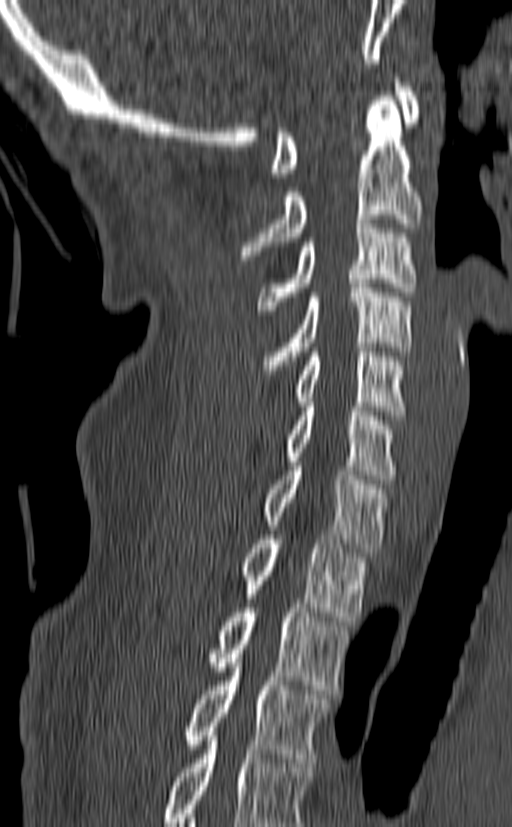
CT spine; image 140 mm wide; sagittal view
Labels in this scan begin with C1 at the top and end with T3 at the bottom.
<vertebrae><v name="C1" x1="271" y1="78" x2="421" y2="177"/><v name="C2" x1="239" y1="96" x2="422" y2="260"/><v name="C3" x1="257" y1="219" x2="418" y2="314"/><v name="C4" x1="264" y1="283" x2="414" y2="374"/><v name="C5" x1="294" y1="347" x2="406" y2="415"/><v name="C6" x1="285" y1="402" x2="397" y2="484"/><v name="C7" x1="265" y1="462" x2="388" y2="552"/><v name="T1" x1="243" y1="535" x2="366" y2="621"/><v name="T2" x1="210" y1="603" x2="348" y2="694"/><v name="T3" x1="184" y1="654" x2="329" y2="762"/></vertebrae>